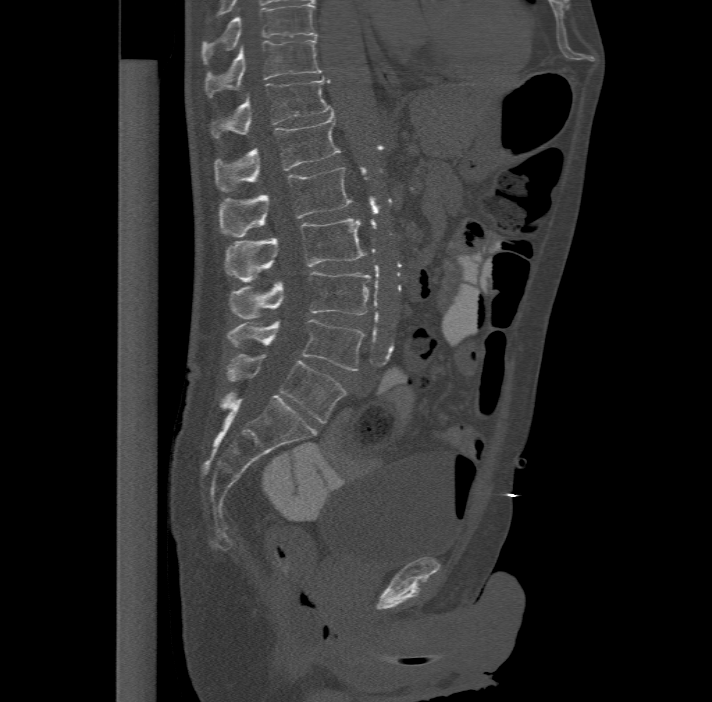

CT, spine; sagittal view; bone-window reconstruction. Each box given as x1,y1,x2,y2. The highest labeled vertebra in this scan is T11; the lowest is L6. These labels give the spine a sixth lumbar vertebra, L6, below L5. Vertebrae labeled: L6 at x1=227, y1=354, x2=345, y2=422, L5 at x1=227, y1=318, x2=363, y2=370, L4 at x1=228, y1=270, x2=372, y2=318, L3 at x1=224, y1=218, x2=366, y2=281, L2 at x1=220, y1=167, x2=352, y2=236, L1 at x1=216, y1=113, x2=341, y2=190, T12 at x1=211, y1=74, x2=333, y2=136, T11 at x1=204, y1=39, x2=322, y2=96.